Spine CT — sagittal plane, index 248 — Bone window (WL 400, WW 1800) — 658x798 px
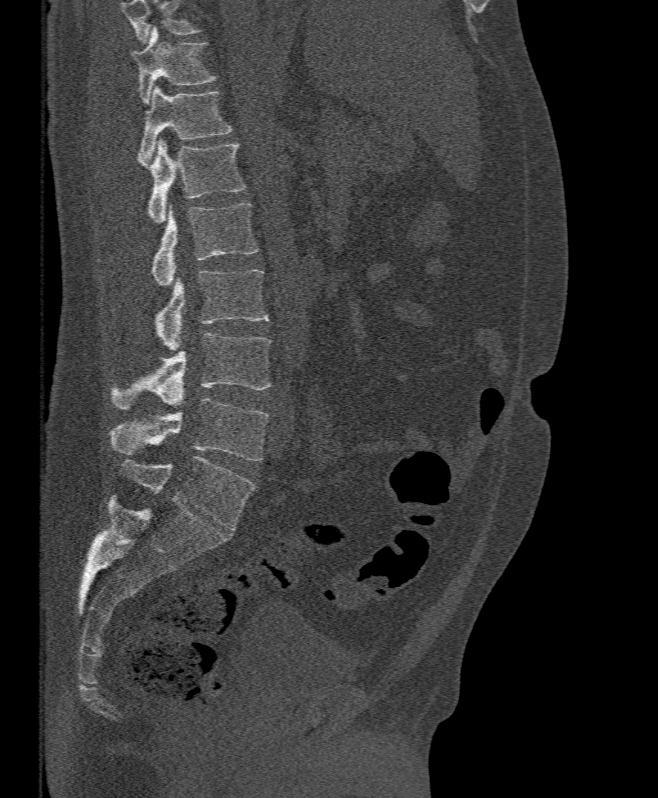
Coordinates as <box>x1,y1,x2,y2</box>.
Where the top of the scan cuts through a vertebra, that vertebra gets no label or box.
T11: <box>131,27,218,104</box>
T12: <box>140,85,232,161</box>
L1: <box>138,140,246,222</box>
L2: <box>152,203,259,286</box>
L3: <box>154,270,269,351</box>
L4: <box>111,332,270,409</box>
L5: <box>109,398,269,461</box>